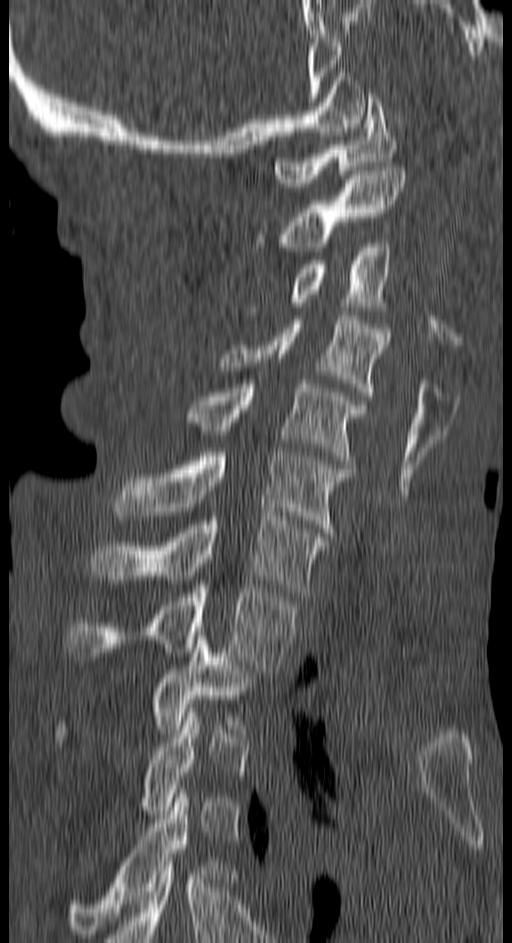 CT, spine; sagittal view; W/L 1800/400 HU; 150 mm across the image

Boxes are (x1, y1, x2, y2) in pixels.
A vertebra gets a box only on the slices from the first to the last where its cross-section is at least a third of its largest; on a slice outside that range it gets none.
Vertebra bounding boxes:
- C1: (274, 94, 396, 187)
- C2: (281, 166, 406, 251)
- C3: (248, 243, 389, 310)
- C4: (218, 316, 389, 396)
- C5: (186, 380, 365, 464)
- C6: (114, 452, 348, 537)
- C7: (90, 516, 328, 596)
- T1: (66, 585, 295, 673)
- T2: (56, 636, 259, 741)
- T4: (67, 789, 222, 938)